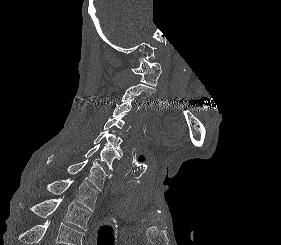
Computed tomography of the spine; sagittal view; bone-window reconstruction; some of the image was removed or blocked out with constant pixels
Each row gives a vertebra's box as x1, y1, x2, y2 in pixels: top-left corner, then bottom-right corner.
A vertebra cut off by the bottom edge of the scan is not labeled and has no box.
| vertebra | x1 | y1 | x2 | y2 |
|---|---|---|---|---|
| C1 | 131 | 57 | 161 | 86 |
| C2 | 122 | 84 | 155 | 101 |
| C3 | 112 | 98 | 140 | 116 |
| C4 | 103 | 113 | 130 | 131 |
| C5 | 93 | 130 | 122 | 156 |
| C6 | 84 | 143 | 121 | 171 |
| C7 | 47 | 154 | 112 | 191 |
| T1 | 46 | 178 | 97 | 211 |
| T2 | 30 | 196 | 91 | 230 |